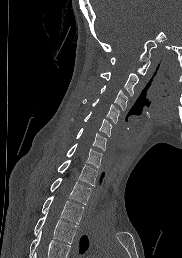

Computed tomography of the spine — sagittal view — W/L 1800/400 HU

Coordinates as <box>x1,y1,x2,y2</box>. No box is given to a vertebra that the bottom edge of the scan cuts off. The labeled vertebrae in this slice are: C1 at <box>110,57,150,74</box>, C2 at <box>100,72,138,96</box>, C3 at <box>100,85,127,109</box>, C4 at <box>83,98,119,123</box>, C5 at <box>71,111,111,136</box>, C6 at <box>76,128,106,150</box>, C7 at <box>66,143,102,168</box>, T1 at <box>57,159,97,185</box>, T2 at <box>50,177,91,204</box>, T3 at <box>41,196,83,223</box>, T4 at <box>34,213,76,243</box>.